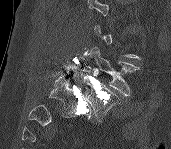 Spine CT · sagittal view

Coordinates as <box>x1,y1,x2,y2</box>.
Not every vertebra on this slice has a box: a vertebra is boxed only from the first to the last slice where its cross-section is at least a third of its largest, and this slice is outside that range for at least one of them.
L5: <box>84,76,120,119</box>
L4: <box>83,47,139,96</box>